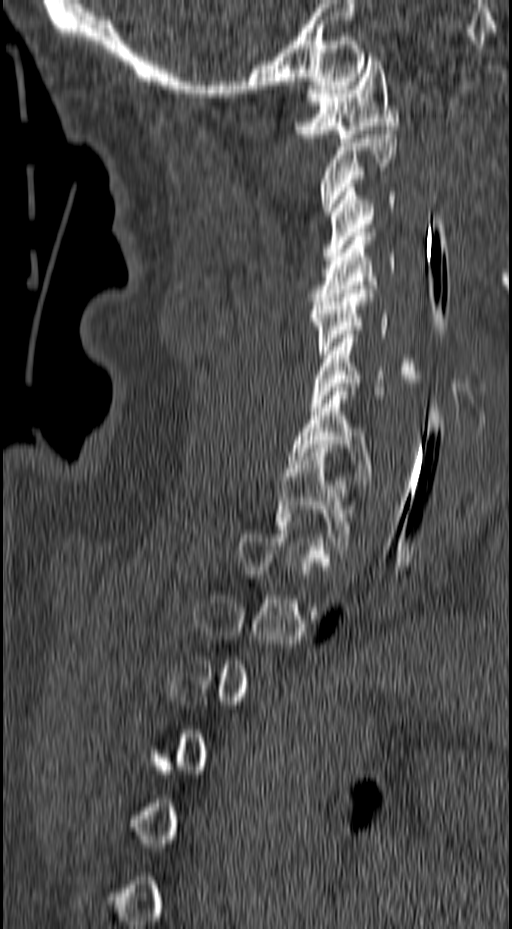 CT. sagittal view. bone window
Box edges are left/top/right/bottom in pixels.
Not every vertebra on this slice has a box: a vertebra is boxed only from the first to the last slice where its cross-section is at least a third of its largest, and this slice is outside that range for at least one of them.
T1: left=275, top=448, right=355, bottom=549
C7: left=288, top=387, right=375, bottom=484
C6: left=311, top=334, right=422, bottom=407
C5: left=309, top=285, right=418, bottom=362
C4: left=310, top=232, right=395, bottom=305
C3: left=322, top=188, right=395, bottom=260
C2: left=321, top=130, right=397, bottom=215
C1: left=293, top=57, right=399, bottom=142